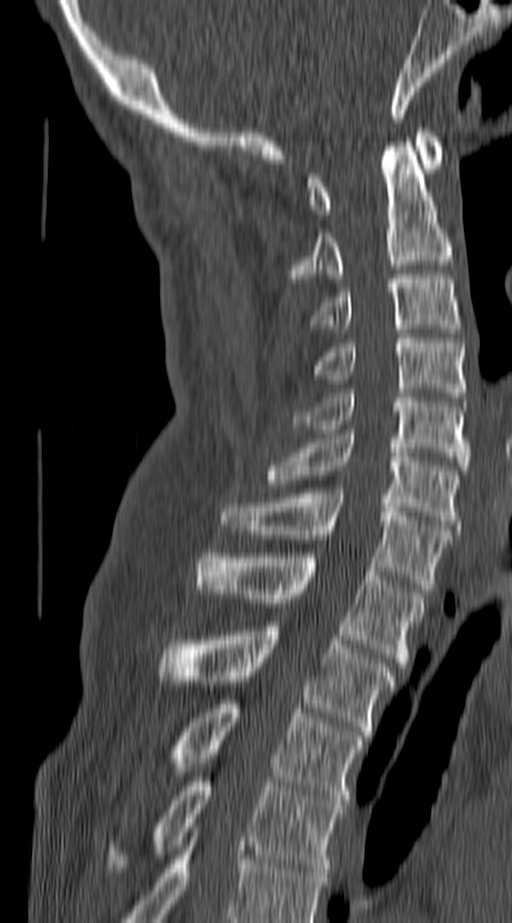

CT, spine — sagittal view — 140 mm across the image — Bone window (WL 400, WW 1800)

In this scan, the topmost labeled vertebra is C1 and the lowest is T4.
<vertebrae><v name="T4" x1="111" y1="777" x2="340" y2="872"/><v name="T3" x1="173" y1="699" x2="362" y2="804"/><v name="T2" x1="159" y1="626" x2="395" y2="735"/><v name="T1" x1="195" y1="553" x2="425" y2="666"/><v name="C7" x1="221" y1="489" x2="450" y2="589"/><v name="C6" x1="266" y1="434" x2="457" y2="529"/><v name="C5" x1="294" y1="389" x2="468" y2="470"/><v name="C4" x1="309" y1="338" x2="465" y2="397"/><v name="C3" x1="312" y1="274" x2="461" y2="328"/><v name="C2" x1="290" y1="142" x2="450" y2="278"/><v name="C1" x1="309" y1="128" x2="443" y2="218"/></vertebrae>